CT spine · Sagittal slice 55/168 · 168x509 px · scan covers 18 annotated vertebrae
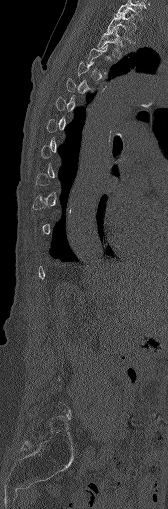 Each row gives a vertebra's box as x1, y1, x2, y2 in pixels: top-left corner, then bottom-right corner.
A vertebra is boxed only from the first to the last slice where its cross-section is at least a third of its largest; slices outside that range leave it without a box.
| vertebra | x1 | y1 | x2 | y2 |
|---|---|---|---|---|
| C7 | 116 | 0 | 144 | 21 |
| T1 | 106 | 11 | 136 | 42 |
| T2 | 97 | 27 | 121 | 57 |